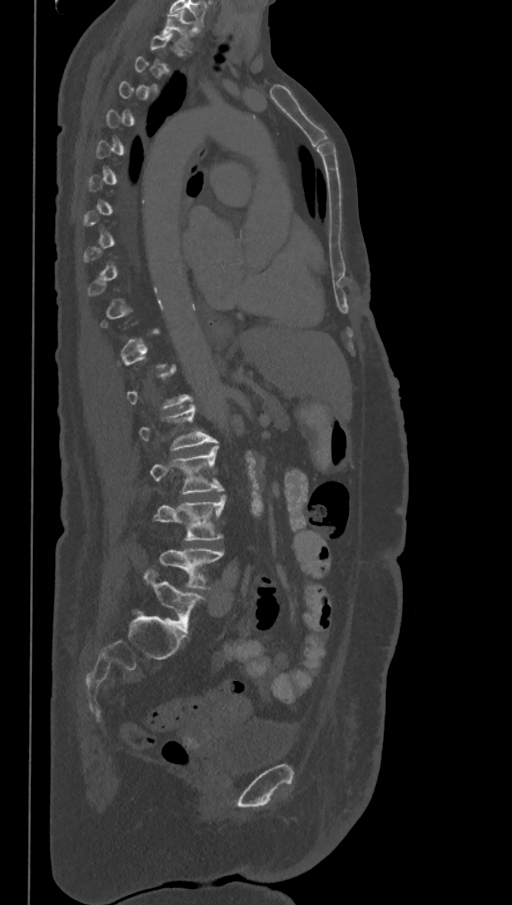

Spine computed tomography · sagittal reformat · bone-window reconstruction. In the table, x1 and y1 are a box's top-left corner and x2 and y2 its bottom-right corner, in pixels.
A vertebra gets a box only on the slices from the first to the last where its cross-section is at least a third of its largest; on a slice outside that range it gets none.
The labels name a sixth lumbar vertebra for this spine: L6, after L5.
| vertebra | x1 | y1 | x2 | y2 |
|---|---|---|---|---|
| T1 | 161 | 11 | 192 | 47 |
| L3 | 150 | 446 | 223 | 494 |
| L4 | 154 | 495 | 224 | 540 |
| L5 | 160 | 550 | 223 | 589 |
| L6 | 144 | 570 | 203 | 633 |